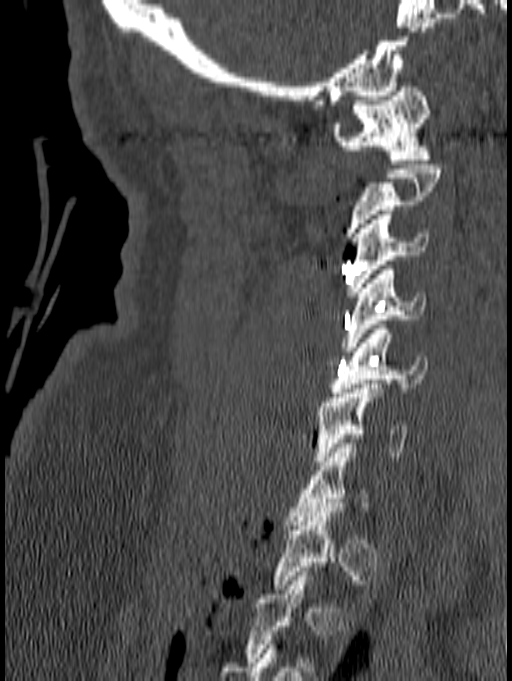

CT, spine — sagittal view — 512x681 px
Boxes are given in columns x1, y1, x2, y2, the pixel coordinates of their top-left and bottom-right corners.
Not every vertebra on this slice has a box: a vertebra is boxed only from the first to the last slice where its cross-section is at least a third of its largest, and this slice is outside that range for at least one of them.
| vertebra | x1 | y1 | x2 | y2 |
|---|---|---|---|---|
| C1 | 333 | 82 | 432 | 164 |
| C3 | 346 | 210 | 428 | 296 |
| C4 | 341 | 265 | 425 | 351 |
| C5 | 330 | 325 | 428 | 397 |
| C6 | 315 | 384 | 406 | 465 |
| C7 | 287 | 443 | 371 | 525 |